Spine CT — image 228 mm wide — sagittal reformat
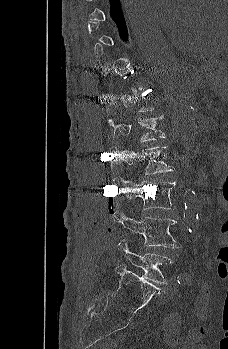
Bounding boxes as [x1, y1, x2, y2] in pixel coordinates.
Each vertebra is boxed only on the slices from the first to the last where its cross-section reaches a third of its largest, so a slice outside that range leaves it unboxed.
Vertebra bounding boxes:
- L1: [107, 115, 165, 141]
- L2: [118, 146, 174, 174]
- L3: [113, 177, 177, 209]
- L4: [113, 210, 181, 248]
- L5: [118, 239, 173, 284]